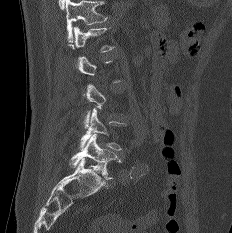
Computed tomography of the spine. image width 232 mm. sagittal view. bone-window reconstruction

Boxes: x1 y1 x2 y2 (pixel coords, space-separated). A vertebra gets a box only on the slices from the first to the last where its cross-section is at least a third of its largest; on a slice outside that range it gets none. Vertebrae labeled: L5 at 69 134 121 179, L4 at 79 108 126 151.